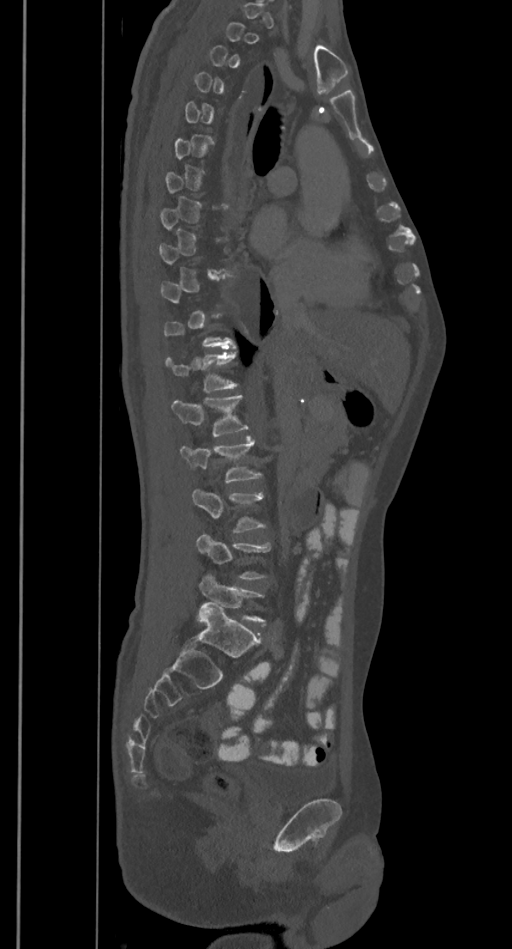

Spine CT. sagittal view. 512x949 px. 385 mm across the image

Each box given as x1,y1,x2,y2.
Each vertebra is boxed only on the slices from the first to the last where its cross-section reaches a third of its largest, so a slice outside that range leaves it unboxed.
| vertebra | x1 | y1 | x2 | y2 |
|---|---|---|---|---|
| L5 | 199 | 575 | 265 | 621 |
| L4 | 197 | 533 | 270 | 579 |
| L3 | 191 | 490 | 265 | 532 |
| L2 | 179 | 437 | 262 | 483 |
| L1 | 171 | 395 | 249 | 436 |
| T12 | 165 | 351 | 237 | 393 |